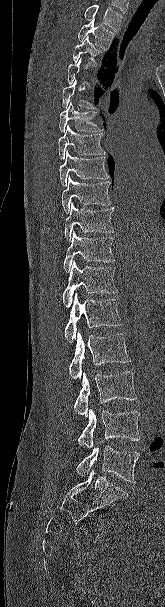

CT; sagittal view; W/L 1800/400 HU; the image is 165 mm wide
Each box given as x1,y1,x2,y2. Not every vertebra on this slice has a box: a vertebra is boxed only from the first to the last slice where its cross-section is at least a third of its largest, and this slice is outside that range for at least one of them. No box is given to a vertebra that the top edge of the scan cuts off. 15 vertebrae labeled — T2 at x1=78, y1=18, x2=114, y2=49; T3 at x1=73, y1=36, x2=100, y2=66; T5 at x1=62, y1=79, x2=96, y2=108; T6 at x1=59, y1=101, x2=103, y2=132; T7 at x1=58, y1=125, x2=105, y2=159; T8 at x1=59, y1=150, x2=109, y2=186; T9 at x1=61, y1=175, x2=111, y2=213; T10 at x1=65, y1=202, x2=114, y2=241; T11 at x1=63, y1=230, x2=115, y2=272; T12 at x1=62, y1=260, x2=118, y2=307; L1 at x1=64, y1=293, x2=123, y2=343; L2 at x1=69, y1=331, x2=131, y2=379; L3 at x1=74, y1=371, x2=136, y2=419; L4 at x1=77, y1=408, x2=140, y2=447; L5 at x1=76, y1=445, x2=140, y2=483.